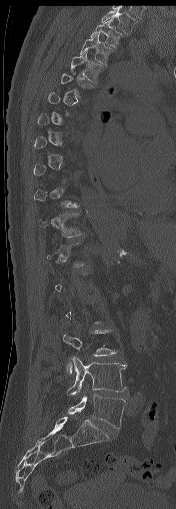
Spine CT; sagittal reformat; bone window; 176x509 px
Each row gives a vertebra's box as x1, y1, x2, y2 in pixels: top-left corner, then bottom-right corner.
Each vertebra is boxed only on the slices from the first to the last where its cross-section reaches a third of its largest, so a slice outside that range leaves it unboxed.
| vertebra | x1 | y1 | x2 | y2 |
|---|---|---|---|---|
| L5 | 67 | 394 | 125 | 428 |
| L4 | 67 | 356 | 127 | 395 |
| T4 | 71 | 50 | 104 | 82 |
| T3 | 79 | 33 | 114 | 66 |
| T2 | 91 | 18 | 122 | 49 |
| T1 | 101 | 8 | 137 | 35 |